CT, spine; sagittal reformat; bone-window reconstruction; the image spans 443 mm across; scan covers 19 annotated vertebrae
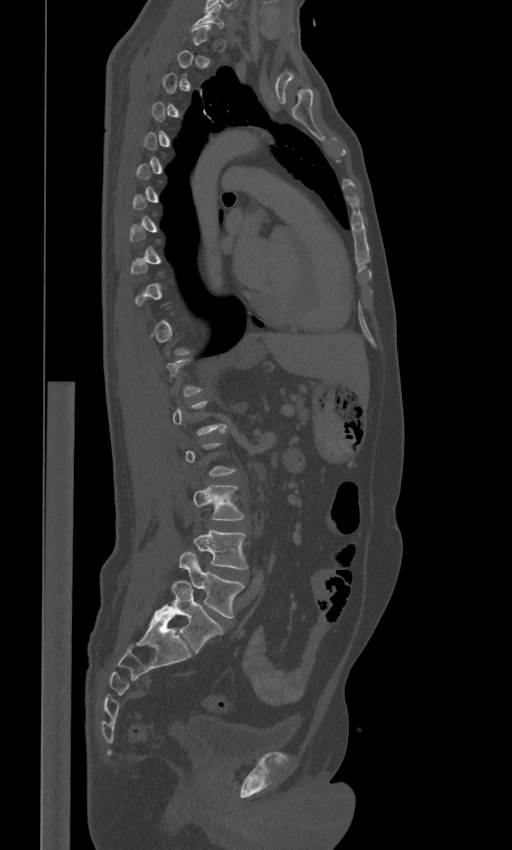
A vertebra gets a box only on the slices from the first to the last where its cross-section is at least a third of its largest; on a slice outside that range it gets none.
In these labels the spine has an L6, a sixth lumbar vertebra below L5.
<vertebrae><v name="L6" x1="155" y1="580" x2="223" y2="653"/><v name="L5" x1="180" y1="551" x2="244" y2="618"/><v name="L4" x1="193" y1="529" x2="247" y2="569"/><v name="L3" x1="193" y1="485" x2="244" y2="520"/><v name="C7" x1="193" y1="5" x2="223" y2="27"/></vertebrae>